Spine computed tomography; sagittal reformat
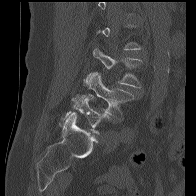 Each vertebra maps to its box as [x1, y1, x2, y2], the pixel coordinates of its top-left and bottom-right corners.
Each vertebra is boxed only on the slices from the first to the last where its cross-section reaches a third of its largest, so a slice outside that range leaves it unboxed.
{"vertebrae":{"L3":[93,48,142,88],"L4":[71,72,134,120],"L5":[58,94,109,134]}}